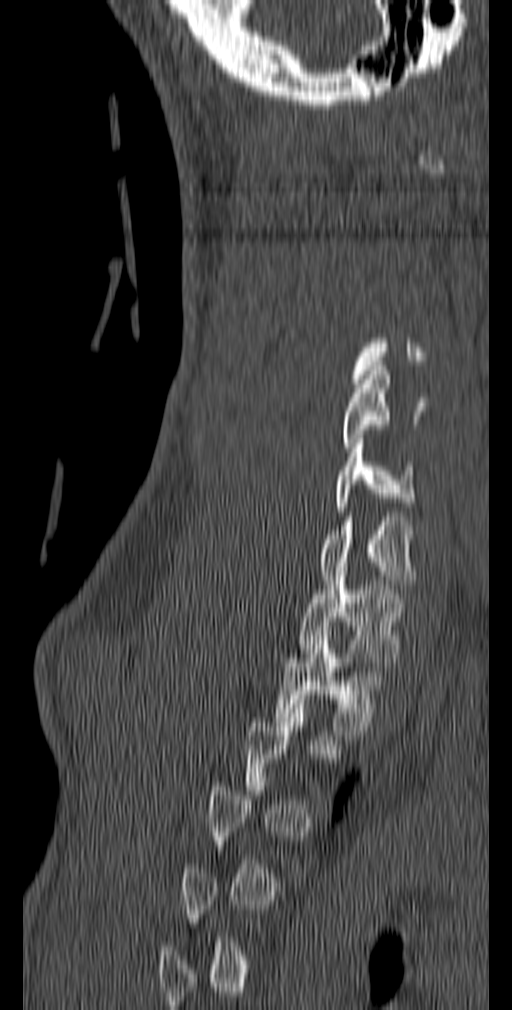 CT; sagittal view; W/L 1800/400 HU; 512x1010 px
Box edges are left/top/right/bottom in pixels. A vertebra gets a box only on the slices from the first to the last where its cross-section is at least a third of its largest; on a slice outside that range it gets none. The labeled vertebrae in this slice are: T2 at left=274, top=631, right=386, bottom=735, T1 at left=299, top=567, right=405, bottom=666, C7 at left=320, top=517, right=417, bottom=589, C6 at left=334, top=439, right=416, bottom=516, C5 at left=341, top=366, right=425, bottom=452.